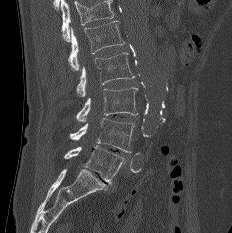

CT, spine. sagittal view. Bone window (WL 400, WW 1800). 232x233 px
Each box is [x1, y1, x2, y2] in pixels: top-left corner, then bottom-right corner.
A vertebra cut off by the top edge of the scan is not labeled and has no box.
{"vertebrae":{"L1":[68,21,124,69],"L2":[76,52,134,96],"L3":[76,87,138,121],"L4":[70,118,134,152],"L5":[64,145,125,184]}}